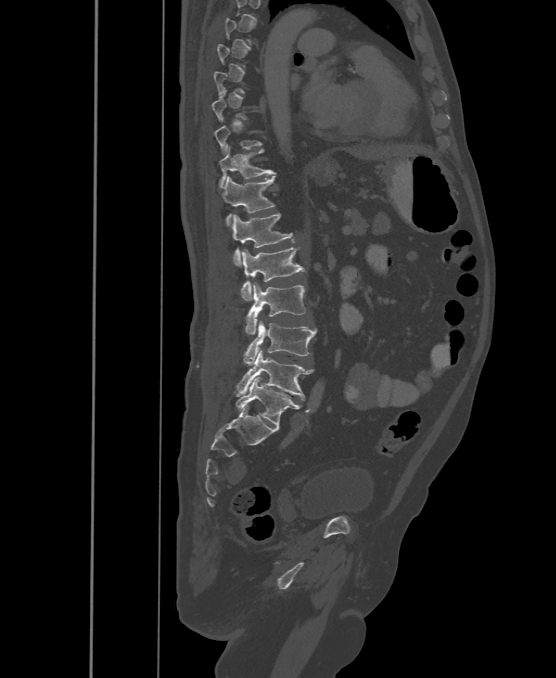
CT spine. sagittal reformat. the image is 500 mm wide. Bone window (WL 400, WW 1800)
Boxes: x1:y1:x2:y2 in pixels.
Not every vertebra on this slice has a box: a vertebra is boxed only from the first to the last slice where its cross-section is at least a third of its largest, and this slice is outside that range for at least one of them.
These labels give the spine a sixth lumbar vertebra, L6, below L5.
T11: 219:149:274:187
T12: 220:176:275:225
L1: 231:213:294:266
L2: 241:247:305:300
L3: 245:283:306:334
L4: 243:320:316:365
L5: 235:349:313:400
L6: 235:377:300:426